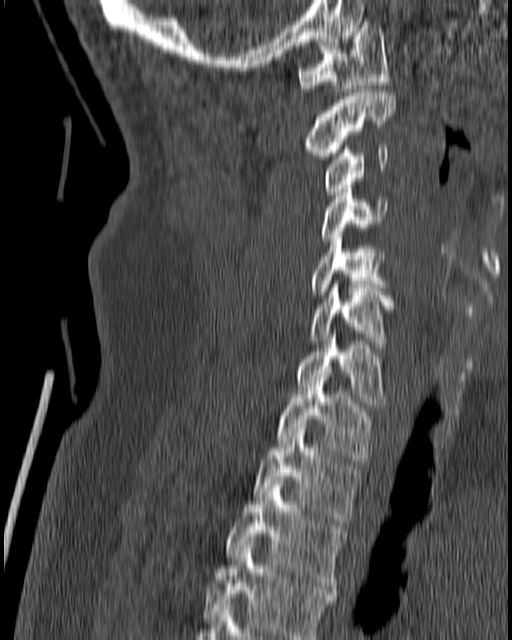
CT. sagittal view
Boxes: x1 y1 x2 y2 (pixel coords, space-separated).
C1: 298 21 390 91
C2: 305 92 395 159
C3: 325 146 387 195
C4: 319 185 387 241
C5: 308 235 387 294
C6: 308 281 392 347
C7: 296 334 384 404
T1: 277 380 373 461
T2: 253 427 358 525
T3: 226 480 345 589
T4: 203 544 337 639